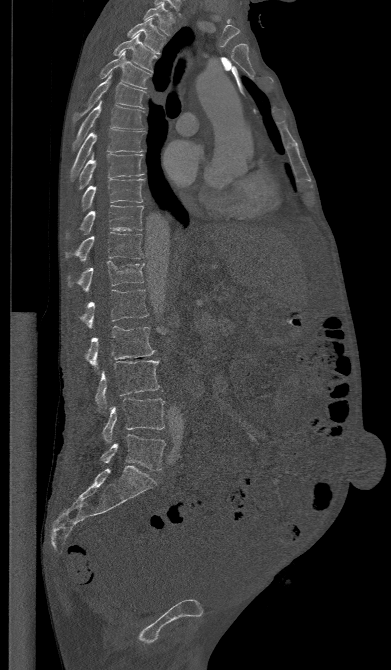

CT spine · sagittal view · 391x670 px. Boxes are (x1, y1, x2, y2) in pixels.
Vertebra bounding boxes:
- T1: (143, 3, 174, 35)
- T2: (128, 18, 165, 53)
- T3: (113, 33, 157, 71)
- T4: (100, 51, 152, 88)
- T5: (73, 73, 146, 121)
- T6: (72, 101, 144, 148)
- T7: (70, 128, 145, 180)
- T8: (77, 154, 143, 189)
- T9: (81, 179, 144, 210)
- T10: (66, 205, 143, 239)
- T11: (65, 232, 143, 260)
- T12: (68, 261, 143, 291)
- L1: (80, 290, 148, 328)
- L2: (85, 326, 154, 368)
- L3: (95, 360, 159, 410)
- L4: (102, 398, 164, 442)
- L5: (101, 434, 165, 470)